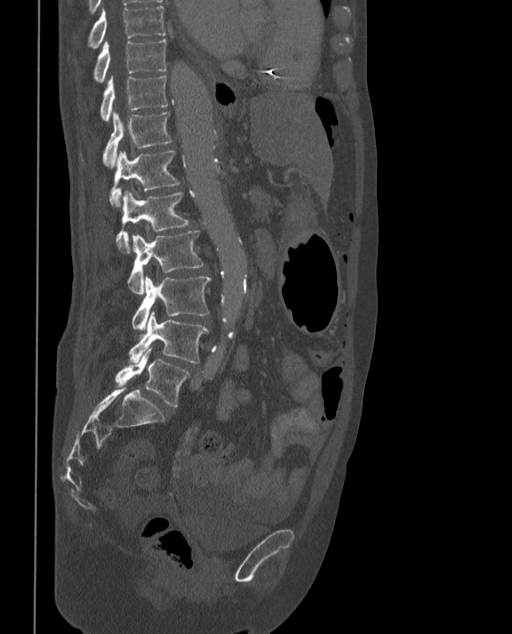

Spine computed tomography. 373 mm image width. sagittal view. W/L 1800/400 HU
The labels name a sixth lumbar vertebra for this spine: L6, after L5.
<vertebrae><v name="T9" x1="70" y1="5" x2="167" y2="56"/><v name="T10" x1="92" y1="40" x2="166" y2="83"/><v name="T11" x1="99" y1="75" x2="168" y2="121"/><v name="T12" x1="79" y1="112" x2="172" y2="166"/><v name="L1" x1="110" y1="151" x2="180" y2="208"/><v name="L2" x1="115" y1="190" x2="190" y2="252"/><v name="L3" x1="127" y1="230" x2="205" y2="294"/><v name="L4" x1="132" y1="275" x2="210" y2="330"/><v name="L5" x1="129" y1="311" x2="207" y2="362"/><v name="L6" x1="115" y1="348" x2="190" y2="407"/></vertebrae>